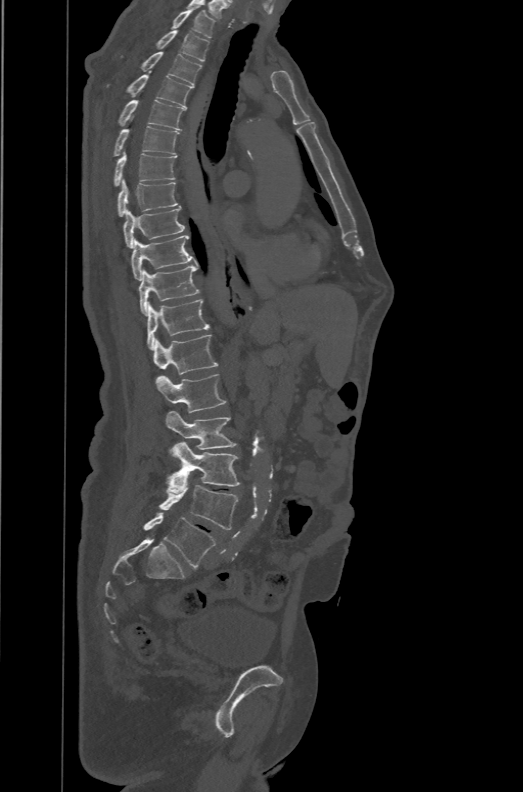 Computed tomography of the spine. sagittal view. image width 471 mm. W/L 1800/400 HU
Each row gives a vertebra's box as x1, y1, x2, y2 in pixels: top-left corner, then bottom-right corner.
These labels give the spine a sixth lumbar vertebra, L6, below L5.
| vertebra | x1 | y1 | x2 | y2 |
|---|---|---|---|---|
| L6 | 143 | 512 | 216 | 568 |
| L5 | 158 | 483 | 238 | 530 |
| L4 | 167 | 441 | 240 | 493 |
| L3 | 166 | 411 | 237 | 449 |
| L2 | 155 | 374 | 226 | 412 |
| L1 | 153 | 334 | 218 | 374 |
| T12 | 146 | 299 | 209 | 349 |
| T11 | 139 | 265 | 199 | 315 |
| T10 | 131 | 235 | 198 | 280 |
| T9 | 123 | 206 | 184 | 248 |
| T8 | 117 | 179 | 178 | 217 |
| T7 | 113 | 151 | 177 | 186 |
| T6 | 112 | 115 | 179 | 156 |
| T5 | 118 | 100 | 184 | 130 |
| T4 | 107 | 70 | 193 | 109 |
| T3 | 140 | 51 | 201 | 85 |
| T2 | 155 | 30 | 209 | 61 |
| T1 | 171 | 6 | 216 | 38 |